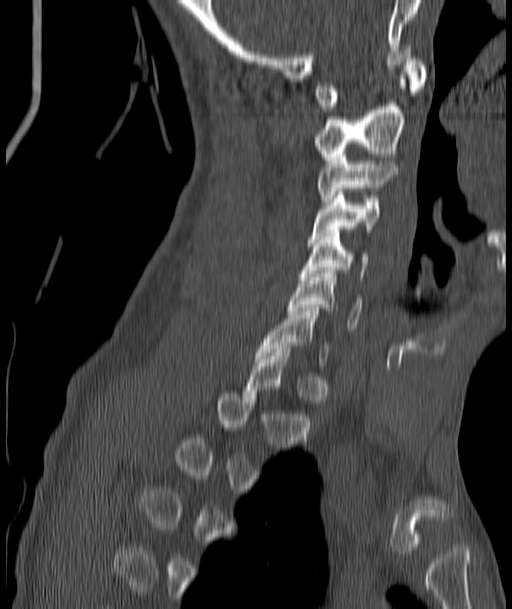 CT; sagittal reformat; bone-window reconstruction
Boxes below are [x1, y1, x2, y2] in pixels.
Each vertebra is boxed only on the slices from the first to the last where its cross-section reaches a third of its largest, so a slice outside that range leaves it unboxed.
{"vertebrae":{"C7":[255,308,329,365],"C6":[288,270,361,328],"C5":[302,229,367,276],"C4":[307,192,381,242],"C3":[318,151,395,201],"C2":[313,72,408,163],"C1":[316,51,427,109]}}